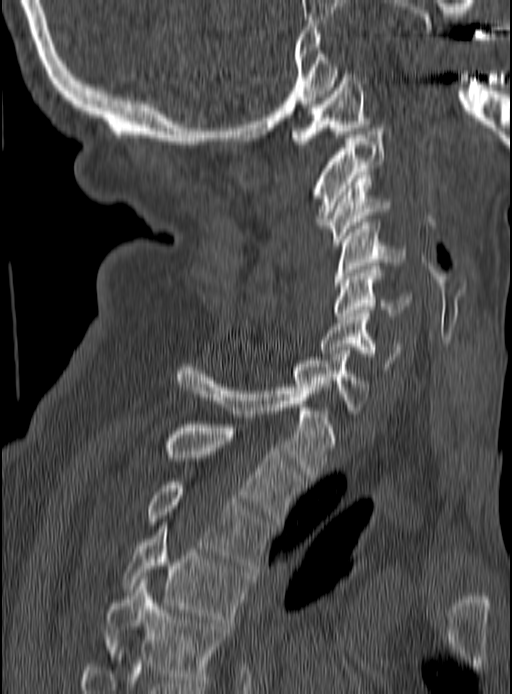

Spine CT — sagittal view — bone window
Boxes: x1 y1 x2 y2 (pixel coords, space-separated).
Vertebra bounding boxes:
- C1: 290 74 372 144
- C2: 313 128 383 228
- C3: 324 175 394 245
- C4: 334 222 406 289
- C5: 335 266 412 322
- C6: 321 310 401 370
- C7: 295 350 369 410
- T1: 175 364 334 477
- T2: 163 424 304 524
- T3: 146 482 272 568
- T4: 122 525 250 622
- T5: 106 579 229 686